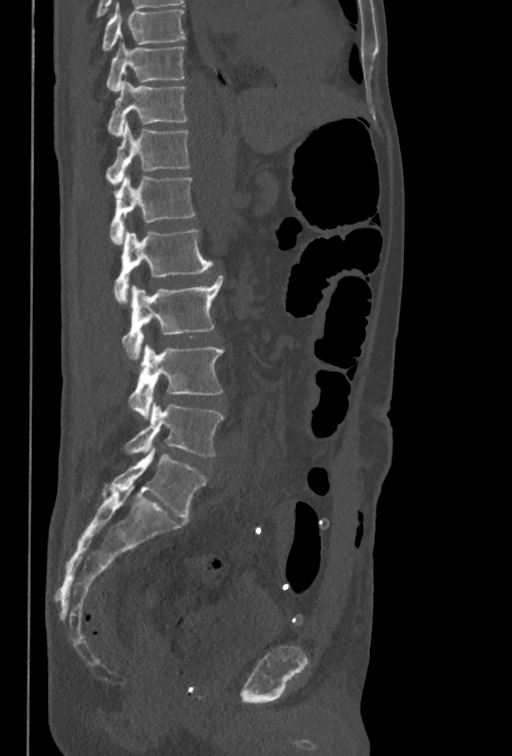 CT spine; sagittal view. Each box given as x1,y1,x2,y2.
The highest labeled vertebra in this scan is T10; the lowest is L5.
L5: x1=124, y1=404, x2=224, y2=456
L4: x1=128, y1=344, x2=224, y2=419
L3: x1=123, y1=275, x2=223, y2=361
L2: x1=114, y1=229, x2=213, y2=303
L1: x1=108, y1=176, x2=195, y2=244
T12: x1=105, y1=121, x2=190, y2=185
T11: x1=108, y1=80, x2=187, y2=137
T10: x1=107, y1=43, x2=185, y2=91